CT, spine · sagittal reformat · W/L 1800/400 HU · scan covers 12 annotated vertebrae
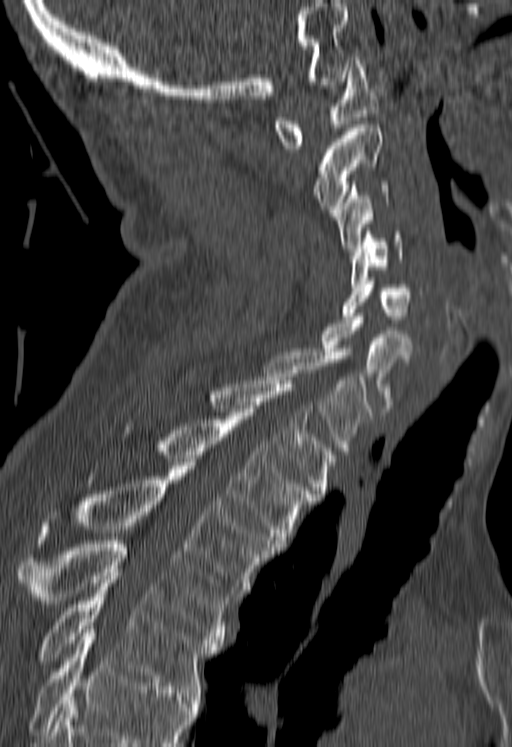

Each vertebra maps to its box as [x1, y1, x2, y2], the pixel coordinates of its top-left and bottom-right corners.
Vertebrae that run past the bottom of the scan are left unlabeled.
{"vertebrae":{"C1":[274,57,379,148],"C2":[314,124,381,212],"C3":[337,181,387,251],"C4":[351,231,401,283],"C5":[342,277,410,323],"C6":[322,313,411,411],"C7":[265,348,370,454],"T1":[209,380,336,497],"T2":[157,412,313,547],"T3":[39,466,276,596],"T4":[18,540,233,643],"T5":[38,580,219,699]}}